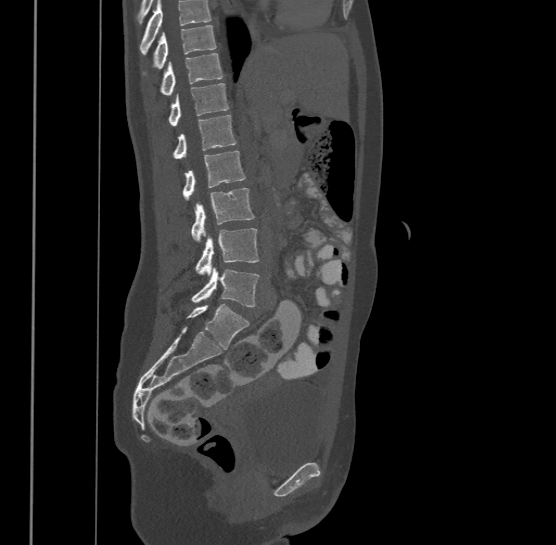
CT; sagittal view; 556x545 px; 500 mm wide

Where the top of the scan cuts through a vertebra, that vertebra gets no label or box.
The highest labeled vertebra in this scan is T9; the lowest is L4.
<vertebrae><v name="T9" x1="153" y1="25" x2="216" y2="67"/><v name="T10" x1="160" y1="53" x2="223" y2="94"/><v name="T11" x1="169" y1="83" x2="229" y2="126"/><v name="T12" x1="174" y1="114" x2="236" y2="157"/><v name="L1" x1="182" y1="150" x2="244" y2="199"/><v name="L2" x1="191" y1="188" x2="255" y2="241"/><v name="L3" x1="195" y1="228" x2="259" y2="274"/><v name="L4" x1="191" y1="266" x2="259" y2="306"/></vertebrae>